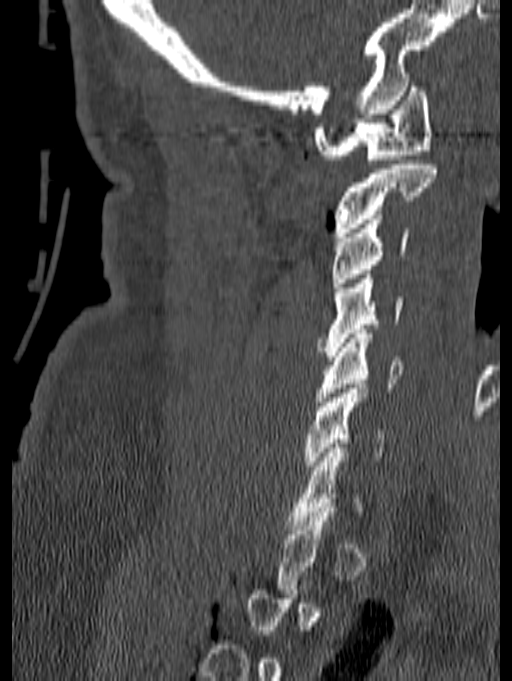 Computed tomography of the spine. sagittal reformat

Coordinates as <box>x1,y1,x2,y2</box>. A vertebra gets a box only on the slices from the first to the last where its cross-section is at least a third of its largest; on a slice outside that range it gets none. The labeled vertebrae in this slice are: C1 at <box>313,82,432,159</box>, C2 at <box>334,160,436,237</box>, C3 at <box>331,219,409,287</box>, C4 at <box>318,274,403,356</box>, C5 at <box>316,329,403,406</box>, C6 at <box>305,384,386,470</box>.